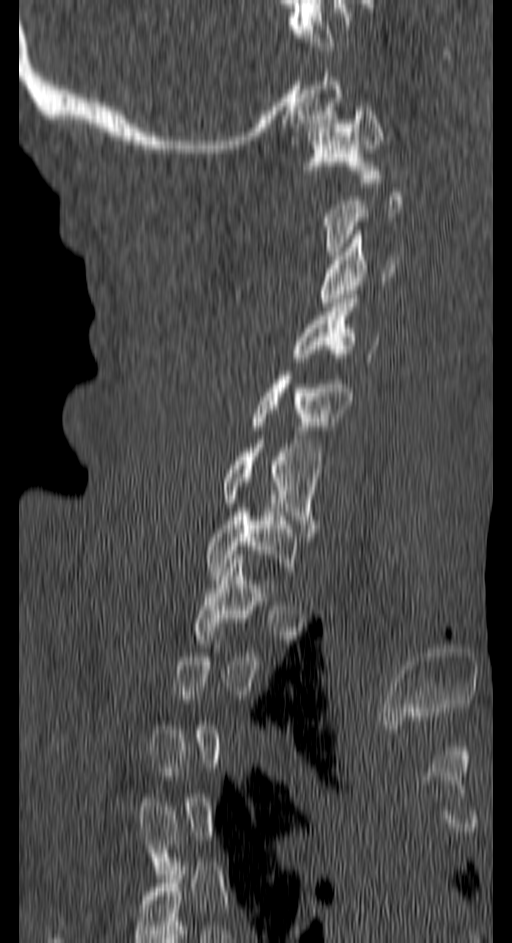
CT; sagittal view; 512x943 px. Boxes are (x1, y1, x2, y2) in pixels.
A vertebra is boxed only from the first to the last slice where its cross-section is at least a third of its largest; slices outside that range leave it without a box.
C1: (305, 107, 383, 182)
C3: (319, 230, 398, 306)
C4: (294, 303, 376, 366)
C5: (247, 371, 352, 430)
C6: (220, 439, 321, 532)
C7: (206, 508, 297, 575)